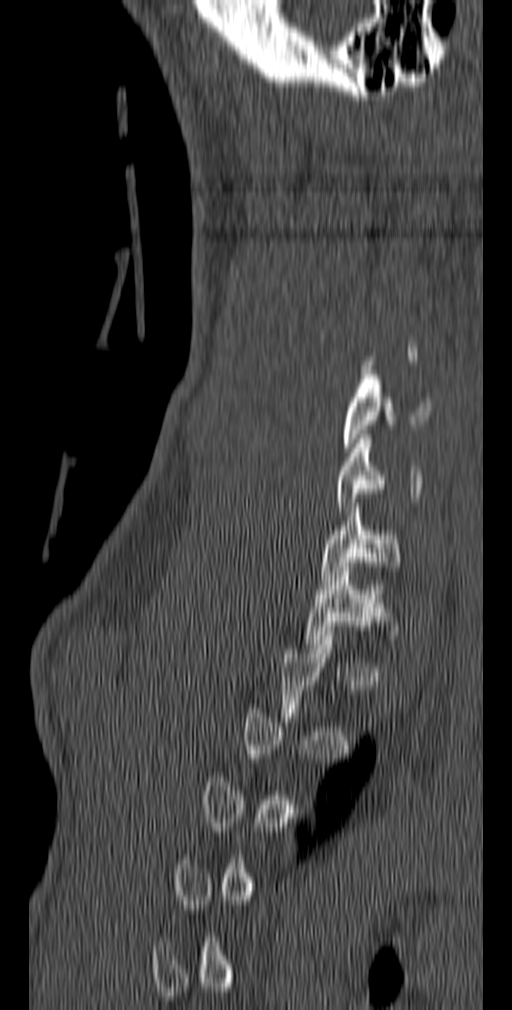
Spine computed tomography; sagittal reformat; W/L 1800/400 HU; 512x1010 px
Each vertebra is boxed only on the slices from the first to the last where its cross-section reaches a third of its largest, so a slice outside that range leaves it unboxed.
<vertebrae><v name="C5" x1="341" y1="370" x2="432" y2="452"/><v name="C6" x1="337" y1="434" x2="423" y2="516"/><v name="C7" x1="320" y1="498" x2="400" y2="584"/><v name="T1" x1="305" y1="562" x2="392" y2="653"/></vertebrae>